CT, spine — image 228 mm wide — sagittal view — 228x376 px
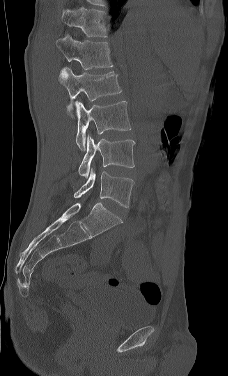
Box edges are left/top/right/bottom in pixels.
This scan's labels start at L1 at the top and end at L5 at the bottom.
L1: left=57, top=35, right=113, bottom=77
L2: left=58, top=68, right=121, bottom=118
L3: left=75, top=101, right=131, bottom=150
L4: left=78, top=134, right=135, bottom=178
L5: left=73, top=168, right=133, bottom=207